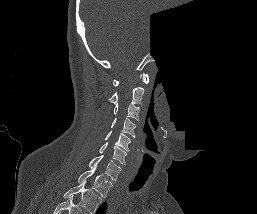
Computed tomography of the spine — sagittal view — W/L 1800/400 HU — 257x214 px — a region of this slice is masked with a uniform fill. Each box given as x1,y1,x2,y2. In this scan, the topmost labeled vertebra is C1 and the lowest is T1. The labeled vertebrae in this slice are: C1 at x1=113, y1=73, x2=148, y2=86, C2 at x1=108, y1=87, x2=143, y2=105, C3 at x1=113, y1=103, x2=139, y2=120, C4 at x1=111, y1=118, x2=135, y2=136, C5 at x1=104, y1=130, x2=130, y2=150, C6 at x1=99, y1=142, x2=127, y2=164, C7 at x1=89, y1=155, x2=121, y2=181, T1 at x1=77, y1=167, x2=112, y2=197.